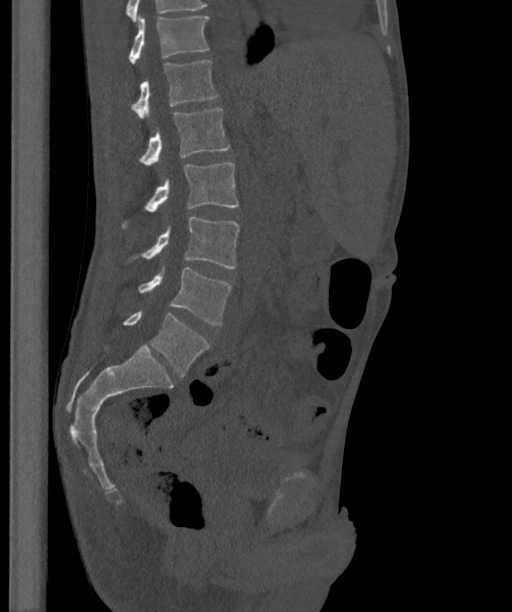

CT, spine; sagittal view; 512x612 px
Columns x1, y1, x2, y2 give each box's top-left and bottom-right pixels.
The highest labeled vertebra in this scan is T12; the lowest is L6.
The labels name a sixth lumbar vertebra for this spine: L6, after L5.
| vertebra | x1 | y1 | x2 | y2 |
|---|---|---|---|---|
| L6 | 123 | 310 | 209 | 377 |
| L5 | 138 | 268 | 232 | 324 |
| L4 | 142 | 217 | 239 | 268 |
| L3 | 145 | 162 | 237 | 212 |
| L2 | 141 | 108 | 229 | 167 |
| L1 | 132 | 61 | 217 | 120 |
| T12 | 128 | 15 | 209 | 64 |